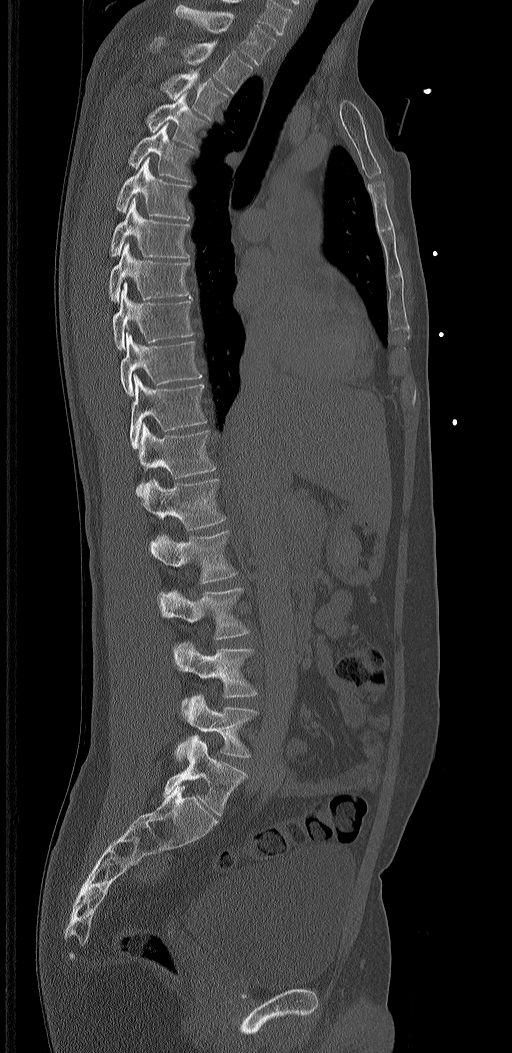
Spine CT. sagittal view. bone-window reconstruction. 512x1053 px
Bounding boxes as [x1, y1, x2, y2] in pixel coordinates.
In these labels the spine has an L6, a sixth lumbar vertebra below L5.
Vertebra bounding boxes:
- L6: [163, 736, 247, 815]
- L5: [175, 693, 257, 761]
- L4: [173, 642, 257, 710]
- L3: [157, 588, 249, 639]
- L2: [151, 530, 238, 583]
- L1: [142, 479, 225, 529]
- T12: [136, 422, 215, 496]
- T11: [130, 374, 206, 449]
- T10: [120, 332, 201, 395]
- T9: [112, 282, 193, 349]
- T8: [108, 243, 191, 302]
- T7: [109, 198, 190, 259]
- T6: [116, 157, 190, 219]
- T5: [128, 123, 193, 182]
- T4: [146, 92, 206, 147]
- T3: [160, 68, 228, 119]
- T2: [149, 37, 252, 94]
- T1: [175, 4, 276, 65]